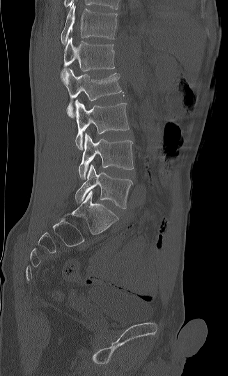
CT spine — image width 228 mm — sagittal reformat
Labels in this scan begin with L1 at the top and end with L5 at the bottom.
<vertebrae><v name="L1" x1="60" y1="36" x2="114" y2="77"/><v name="L2" x1="61" y1="68" x2="125" y2="117"/><v name="L3" x1="75" y1="100" x2="129" y2="149"/><v name="L4" x1="78" y1="133" x2="134" y2="179"/><v name="L5" x1="75" y1="164" x2="132" y2="208"/></vertebrae>